CT — sagittal view
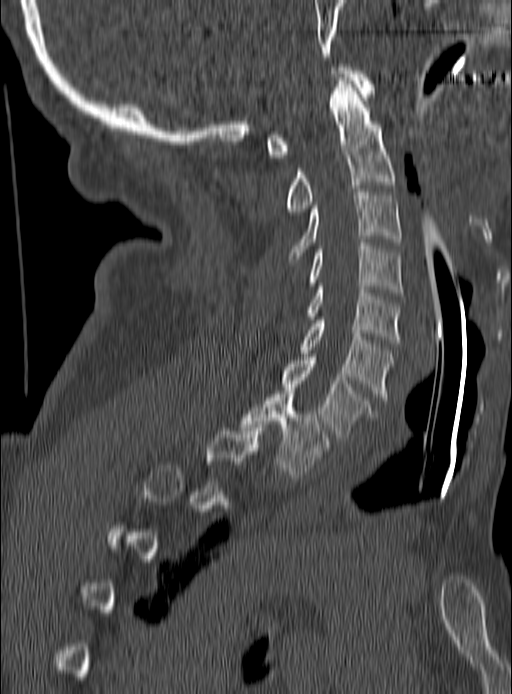
Each box is [x1, y1, x2, y2] in pixels: top-left corner, then bottom-right corner.
A vertebra gets a box only on the slices from the first to the last where its cross-section is at least a third of its largest; on a slice outside that range it gets none.
{"vertebrae":{"T1":[241,391,329,477],"C7":[281,357,372,440],"C6":[300,317,393,400],"C5":[308,283,401,343],"C4":[308,243,401,295],"C3":[288,189,401,262],"C2":[286,77,396,215],"C1":[267,67,374,157]}}